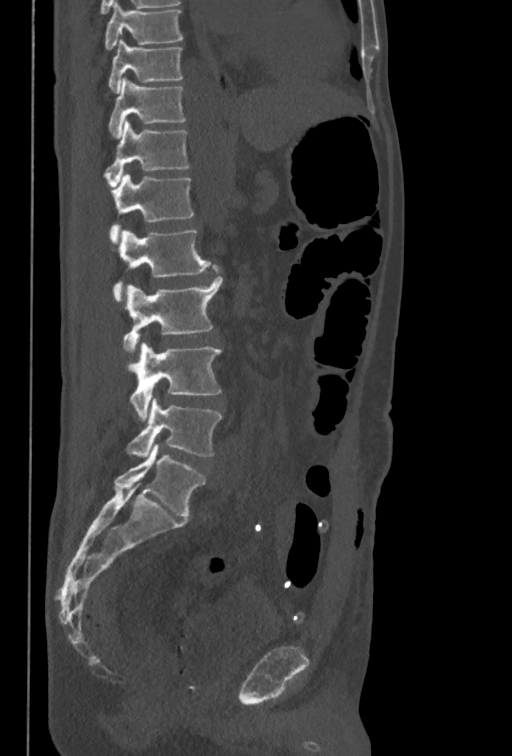 Spine computed tomography. sagittal reformat. image width 350 mm
Each vertebra maps to its box as [x1, y1, x2, y2], the pixel coordinates of its top-left and bottom-right corners.
The highest labeled vertebra in this scan is T10; the lowest is L5.
{"vertebrae":{"L5":[126,399,223,457],"L4":[127,342,221,420],"L3":[123,265,222,356],"L2":[113,229,210,300],"L1":[108,174,193,244],"T12":[103,120,189,186],"T11":[108,78,186,137],"T10":[108,39,183,92]}}